CT spine · sagittal view
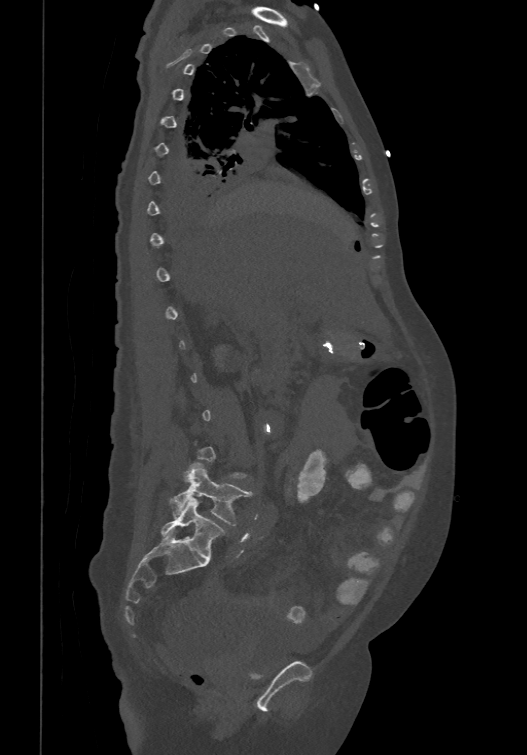 Each vertebra is boxed only on the slices from the first to the last where its cross-section reaches a third of its largest, so a slice outside that range leaves it unboxed.
These labels give the spine a sixth lumbar vertebra, L6, below L5.
<vertebrae><v name="L5" x1="171" y1="463" x2="251" y2="525"/><v name="L6" x1="160" y1="498" x2="224" y2="559"/></vertebrae>